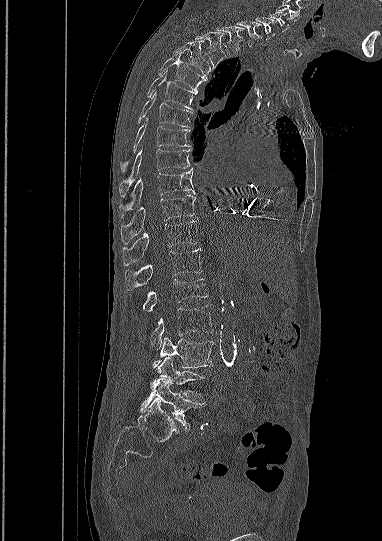
CT — sagittal reformat — 382 mm image width
Each box is [x1, y1, x2, y2] in pixels: top-left corner, then bottom-right corner.
In this scan, the topmost labeled vertebra is C5 and the lowest is L5.
{"vertebrae":{"L5":[140,378,204,429],"L4":[158,356,204,400],"L3":[152,337,213,368],"L2":[150,305,213,349],"L1":[143,279,207,311],"T12":[125,248,201,291],"T11":[123,220,197,265],"T10":[121,195,194,243],"T9":[120,168,194,217],"T8":[119,148,190,195],"T7":[121,116,189,171],"T6":[138,91,192,126],"T5":[147,71,197,110],"T4":[159,55,205,91],"T3":[173,42,210,78],"T2":[194,32,226,67],"T1":[216,25,244,56],"C7":[237,21,261,46],"C6":[255,17,276,40],"C5":[267,11,289,31]}}